CT, spine — sagittal reformat — the image is 363 mm wide — bone-window reconstruction
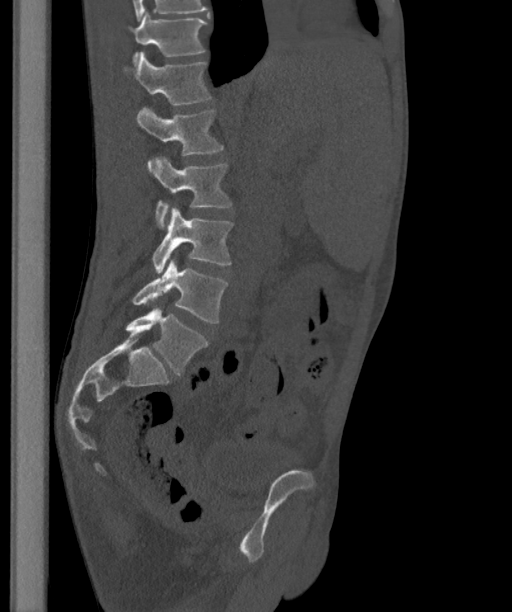

Boxes are given in columns x1, y1, x2, y2, the pixel coordinates of their top-left and bottom-right corners.
These labels give the spine a sixth lumbar vertebra, L6, below L5.
| vertebra | x1 | y1 | x2 | y2 |
|---|---|---|---|---|
| T12 | 129 | 13 | 208 | 65 |
| L1 | 123 | 52 | 212 | 104 |
| L2 | 137 | 107 | 223 | 172 |
| L3 | 154 | 156 | 232 | 229 |
| L4 | 152 | 208 | 233 | 273 |
| L5 | 132 | 259 | 227 | 323 |
| L6 | 125 | 307 | 208 | 373 |